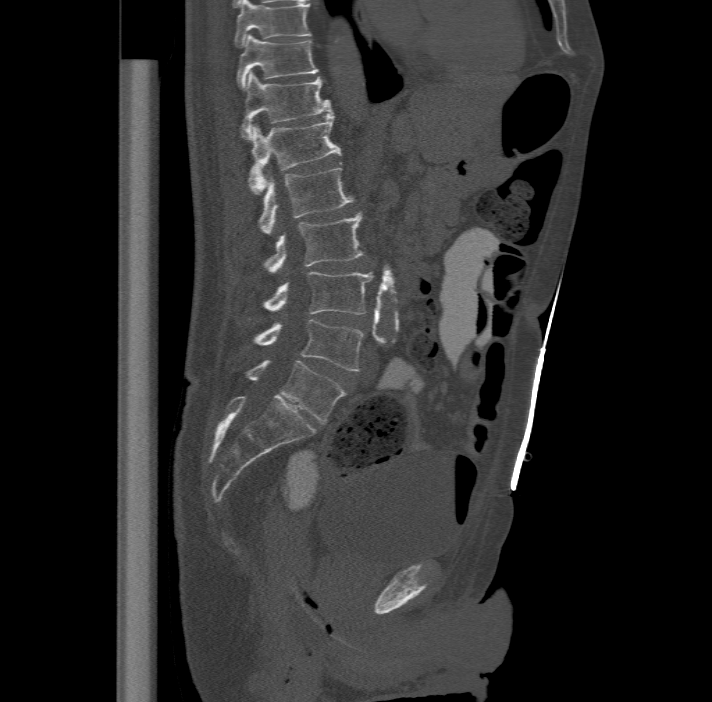 Spine computed tomography · sagittal reformat · bone window · 712x702 px

Bounding boxes as [x1, y1, x2, y2] in pixel coordinates.
Labels in this scan begin with T11 at the top and end with L6 at the bottom.
The labels name a sixth lumbar vertebra for this spine: L6, after L5.
Vertebra bounding boxes:
- L6: [246, 360, 345, 422]
- L5: [253, 318, 363, 371]
- L4: [263, 270, 372, 314]
- L3: [264, 212, 363, 272]
- L2: [259, 167, 354, 233]
- L1: [248, 112, 341, 193]
- T12: [241, 71, 331, 138]
- T11: [238, 34, 319, 87]